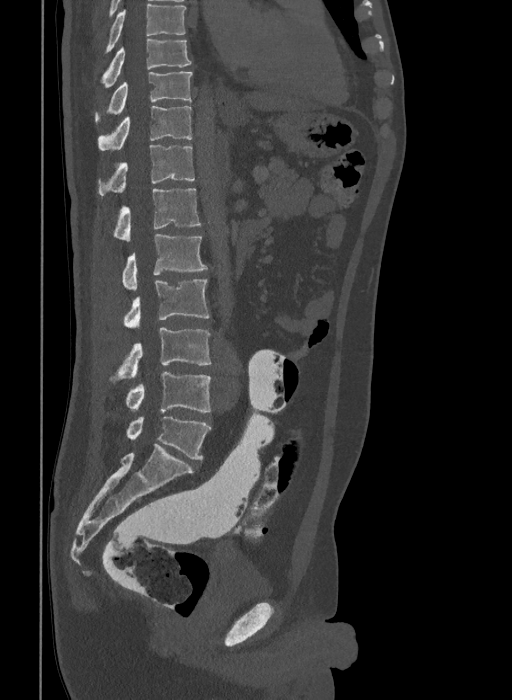 Computed tomography of the spine; 409 mm image width; sagittal reformat; 512x700 px
Each box given as x1,y1,x2,y2.
In this scan, the topmost labeled vertebra is T9 and the lowest is L6.
The labels name a sixth lumbar vertebra for this spine: L6, after L5.
| vertebra | x1 | y1 | x2 | y2 |
|---|---|---|---|---|
| T9 | 101 | 38 | 192 | 88 |
| T10 | 95 | 71 | 193 | 122 |
| T11 | 98 | 106 | 192 | 150 |
| T12 | 99 | 145 | 194 | 195 |
| L1 | 114 | 189 | 202 | 241 |
| L2 | 123 | 234 | 207 | 290 |
| L3 | 124 | 279 | 209 | 328 |
| L4 | 109 | 327 | 210 | 380 |
| L5 | 125 | 372 | 210 | 412 |
| L6 | 126 | 417 | 210 | 460 |